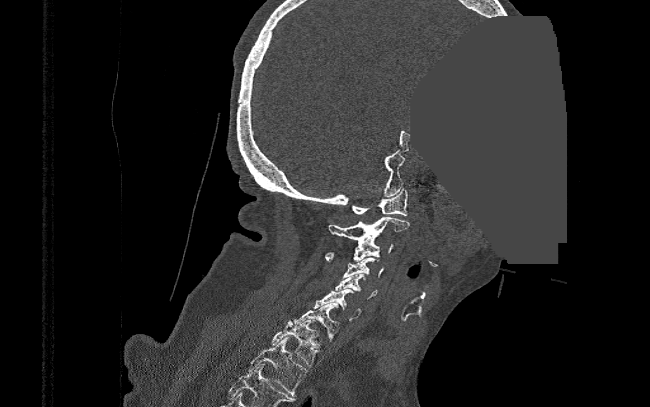
Spine computed tomography; sagittal view; W/L 1800/400 HU; 650x407 px; part of the image has been replaced by a constant value
Each box is [x1, y1, x2, y2] in pixels: top-left corner, then bottom-right corner.
{"vertebrae":{"T2":[248,337,308,396],"T1":[272,319,319,366],"C7":[293,302,339,338],"C6":[314,289,361,320],"C5":[335,273,377,299],"C4":[343,257,384,277],"C3":[325,239,394,261],"C2":[329,217,409,243],"C1":[350,189,407,215]}}